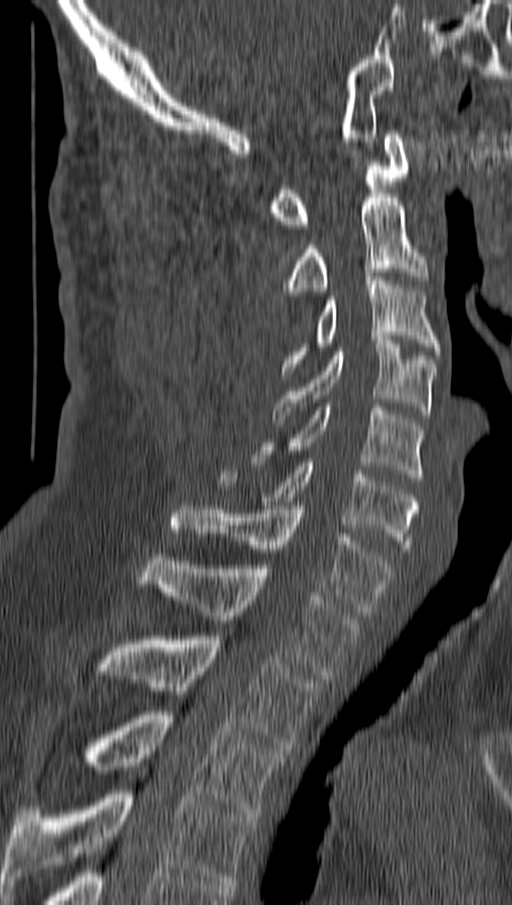 CT — sagittal view
Each vertebra maps to its box as [x1, y1, x2, y2], the pixel coordinates of its top-left and bottom-right corners.
{"vertebrae":{"T4":[3,790,256,888],"T3":[83,711,285,817],"T2":[96,636,319,754],"T1":[140,553,357,679],"C7":[172,506,392,615],"C6":[218,462,417,552],"C5":[257,403,424,481],"C4":[273,336,436,426],"C3":[282,273,439,374],"C2":[286,194,427,295],"C1":[270,130,411,228]}}